Spine computed tomography · sagittal plane, index 260 · bone-window reconstruction · 303 mm wide · 283x512 px
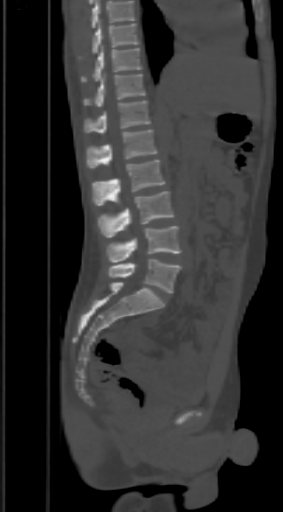
Bounding boxes as [x1, y1, x2, y2] in pixel coordinates.
A vertebra cut off by the top edge of the scan is not labeled and has no box.
Vertebra bounding boxes:
- T9: [78, 20, 139, 60]
- T10: [81, 46, 142, 82]
- T11: [84, 73, 145, 107]
- T12: [84, 101, 150, 133]
- L1: [87, 129, 156, 168]
- L2: [92, 159, 164, 205]
- L3: [98, 191, 173, 237]
- L4: [106, 226, 181, 262]
- L5: [109, 259, 181, 293]